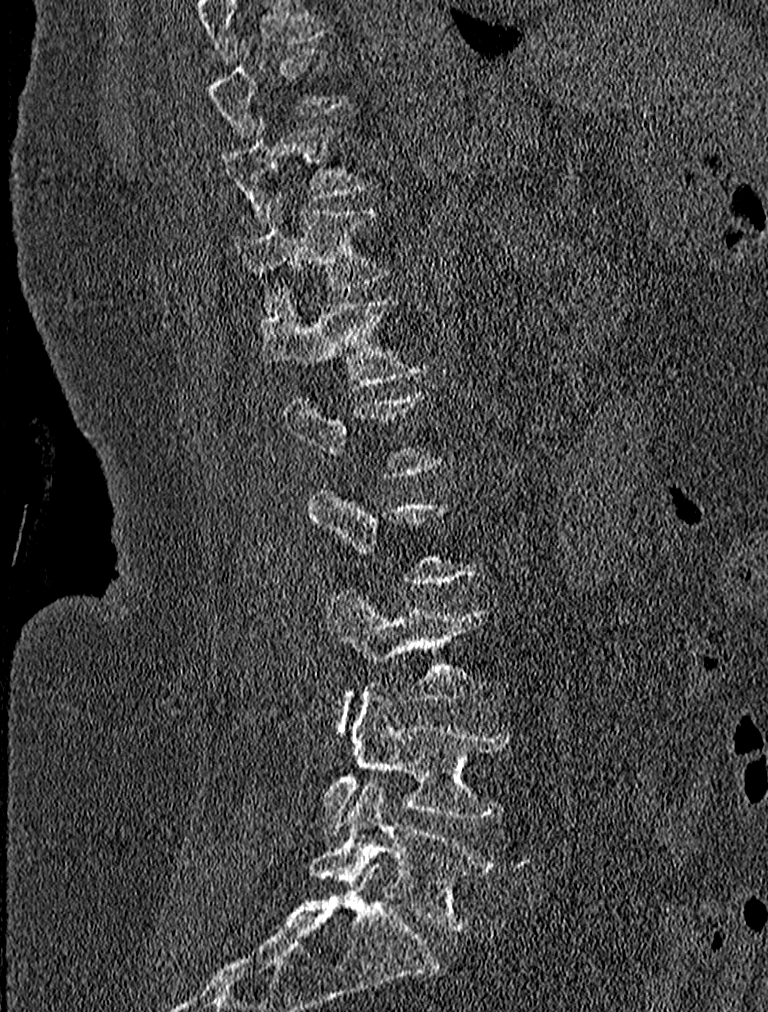 CT · sagittal reformat · 768x1012 px · the image spans 227 mm across
Each vertebra maps to its box as [x1, y1, x2, y2], the pixel coordinates of its top-left and bottom-right corners.
Not every vertebra on this slice has a box: a vertebra is boxed only from the first to the last slice where its cross-section is at least a third of its largest, and this slice is outside that range for at least one of them.
In this scan, the topmost labeled vertebra is T9 and the lowest is L5.
{"vertebrae":{"L5":[310,779,495,931],"L4":[324,685,511,833],"L3":[327,591,484,731],"T12":[260,288,427,384],"T11":[235,193,387,311],"T10":[219,119,373,218],"T9":[209,41,350,141]}}